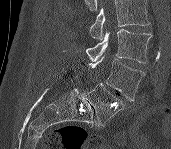
Spine computed tomography — sagittal view — bone-window reconstruction. Boxes: x1:y1:x2:y2 in pixels. A vertebra cut off by the top edge of the scan is not labeled and has no box. Vertebrae labeled: L3 at 86:29:151:63, L4 at 87:56:145:101, L5 at 83:83:123:126.